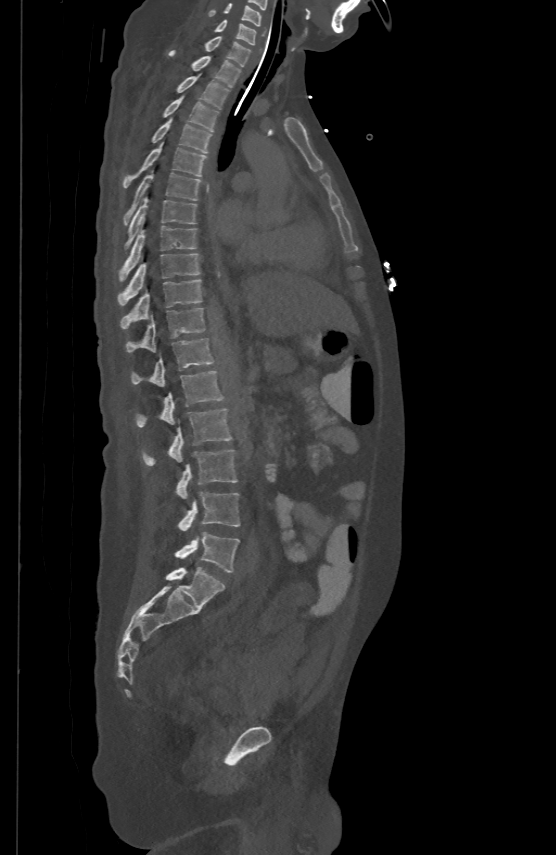

CT, spine · sagittal view · 556x855 px
Boxes: x1:y1:x2:y2 in pixels.
Vertebra bounding boxes:
- L5: 175:532:239:572
- L4: 178:492:240:531
- L3: 176:450:237:499
- L2: 142:407:231:465
- L1: 136:370:223:427
- T12: 131:337:213:385
- T11: 126:306:204:351
- T10: 120:279:201:328
- T9: 118:252:200:304
- T8: 120:224:196:279
- T7: 125:196:196:249
- T6: 124:169:200:223
- T5: 124:141:205:186
- T4: 152:116:212:152
- T3: 164:95:218:131
- T2: 177:73:229:108
- T1: 169:50:240:86
- C7: 205:35:250:65
- C6: 215:19:256:43
- C5: 208:2:261:25